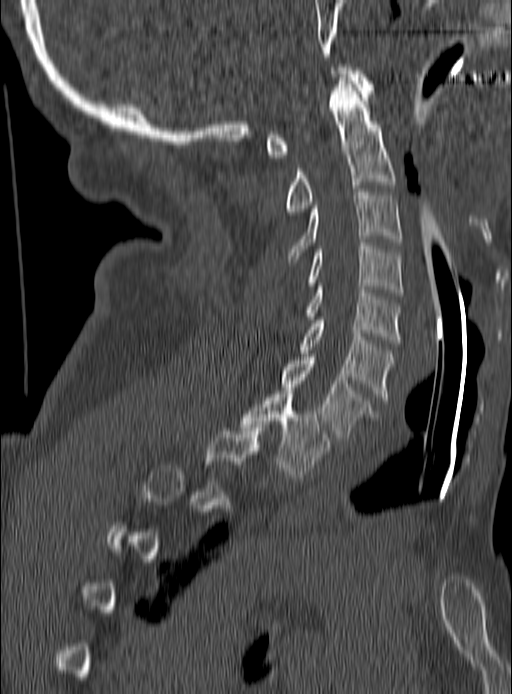

CT. 190 mm wide. sagittal view
A vertebra gets a box only on the slices from the first to the last where its cross-section is at least a third of its largest; on a slice outside that range it gets none.
<vertebrae><v name="C1" x1="267" y1="67" x2="374" y2="157"/><v name="C2" x1="284" y1="77" x2="396" y2="215"/><v name="C3" x1="286" y1="189" x2="401" y2="265"/><v name="C4" x1="301" y1="243" x2="404" y2="295"/><v name="C5" x1="305" y1="283" x2="401" y2="343"/><v name="C6" x1="300" y1="317" x2="393" y2="400"/><v name="C7" x1="281" y1="357" x2="374" y2="440"/><v name="T1" x1="241" y1="391" x2="329" y2="477"/></vertebrae>